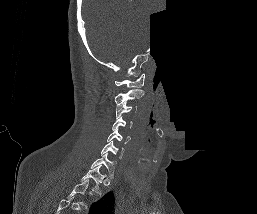

CT; sagittal view; W/L 1800/400 HU; 257 mm across the image; 257x214 px; an area of the scan was removed and filled with constant pixels
Each box given as x1,y1,x2,y2.
Labels in this scan begin with C1 at the top and end with T1 at the bottom.
Vertebra bounding boxes:
- C1: x1=115, y1=73, x2=145, y2=87
- C2: x1=114, y1=89, x2=144, y2=104
- C3: x1=115, y1=102, x2=137, y2=118
- C4: x1=112, y1=117, x2=133, y2=130
- C5: x1=107, y1=128, x2=130, y2=143
- C6: x1=101, y1=141, x2=124, y2=158
- C7: x1=91, y1=153, x2=116, y2=178
- T1: x1=81, y1=165, x2=106, y2=196